CT — sagittal plane, index 288 — 512x757 px
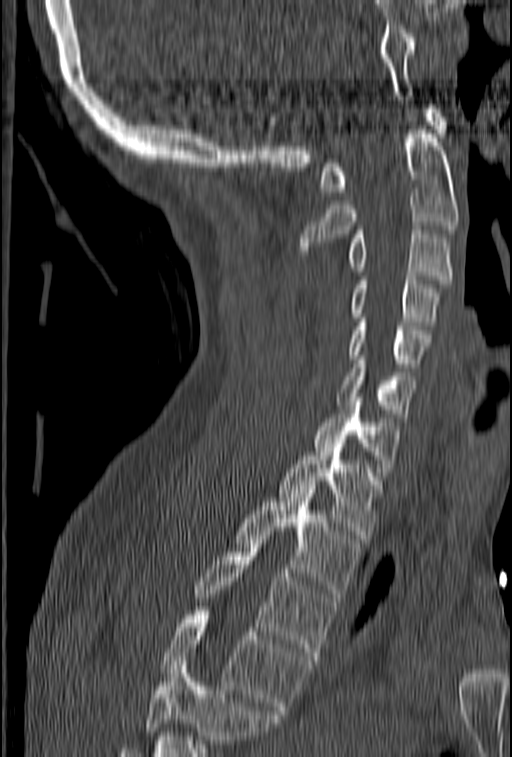

Coordinates as <box>x1,y1,x2,y2</box>.
No box is given to a vertebra that the bottom edge of the scan cuts off.
C1: <box>319,105,447,196</box>
C2: <box>300,125,459,246</box>
C3: <box>349,226,452,283</box>
C4: <box>349,276,439,325</box>
C5: <box>349,314,431,371</box>
C6: <box>336,356,417,421</box>
C7: <box>312,397,398,472</box>
T1: <box>279,448,382,539</box>
T2: <box>234,489,361,597</box>
T3: <box>194,540,335,660</box>
T4: <box>161,611,311,714</box>